Computed tomography of the spine; sagittal reformat; 158x158 px
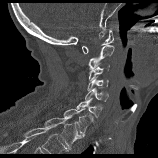

Boxes: x1:y1:x2:y2 in pixels.
Vertebra bounding boxes:
- C1: 82:30:113:53
- C2: 89:45:114:69
- C3: 88:64:109:87
- C4: 87:76:108:90
- C5: 85:88:108:101
- C6: 76:98:102:117
- C7: 64:108:93:137
- T1: 44:117:78:149